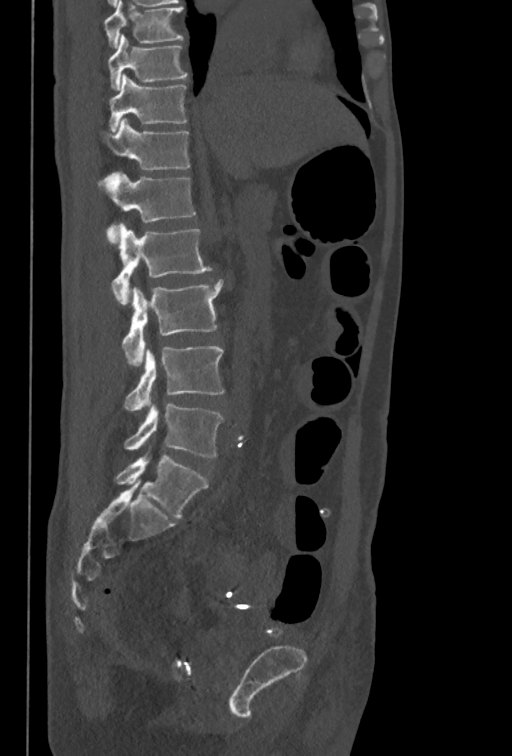
Computed tomography of the spine; sagittal view
Boxes: x1 y1 x2 y2 (pixel coords, space-separated).
The highest labeled vertebra in this scan is T10; the lowest is L5.
T10: 107 34 186 90
T11: 108 74 186 132
T12: 101 118 189 170
L1: 96 171 195 241
L2: 112 224 211 304
L3: 123 279 223 365
L4: 123 346 224 411
L5: 124 403 223 457